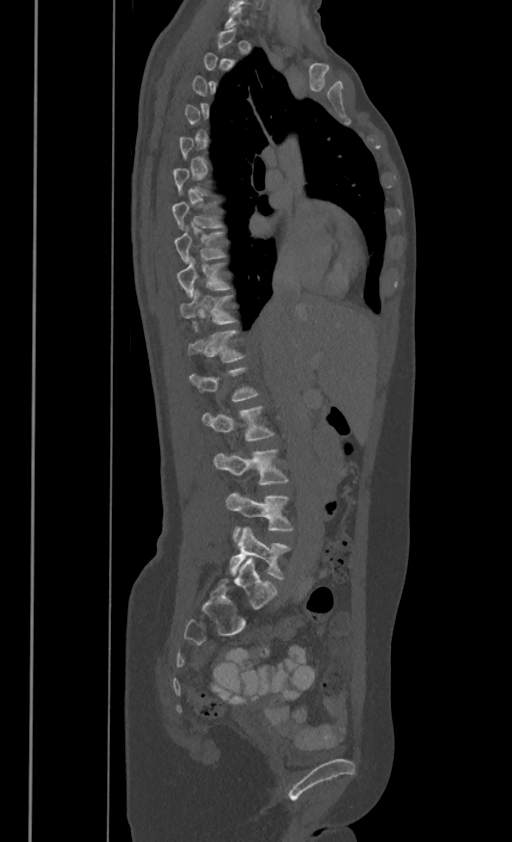 CT spine — sagittal view
Box edges are left/top/right/bottom in pixels. Not every vertebra on this slice has a box: a vertebra is boxed only from the first to the last slice where its cross-section is at least a third of its largest, and this slice is outside that range for at least one of them. In these labels the spine has no T12: the thoracic vertebrae end at T11, and L1 comes next. 10 vertebrae labeled — T7 at left=172, top=199, right=223, bottom=228; T8 at left=175, top=227, right=226, bottom=262; T9 at left=176, top=257, right=231, bottom=296; T10 at left=180, top=289, right=238, bottom=323; T11 at left=188, top=327, right=244, bottom=361; L1 at left=190, top=365, right=259, bottom=399; L2 at left=203, top=405, right=275, bottom=441; L3 at left=213, top=449, right=288, bottom=484; L4 at left=225, top=493, right=293, bottom=541; L5 at left=229, top=528, right=291, bottom=579.